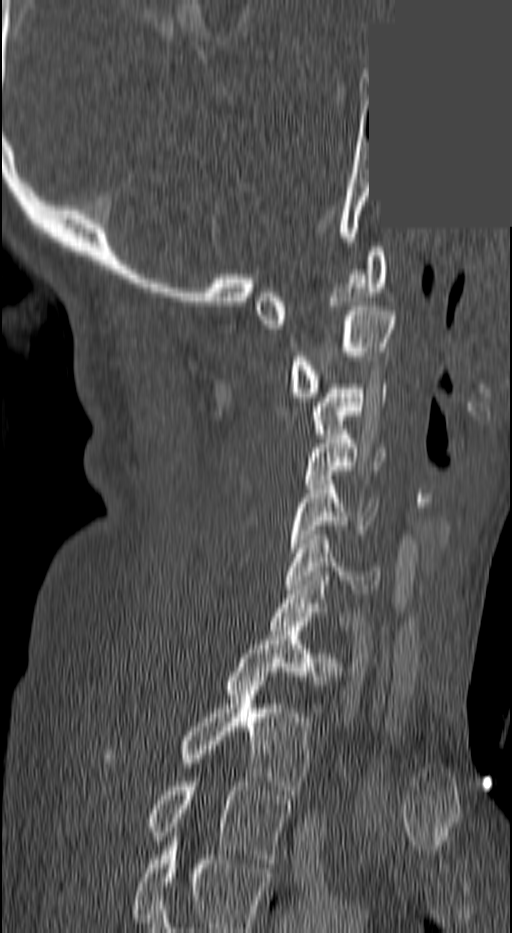 CT, spine — sagittal view — Bone window (WL 400, WW 1800) — a portion of the image is blanked out (constant pixel value)

Box edges are left/top/right/bottom in pixels.
Labels in this scan begin with C1 at the top and end with T3 at the bottom.
Vertebra bounding boxes:
- C1: left=254, top=247, right=388, bottom=328
- C2: left=290, top=306, right=395, bottom=397
- C3: left=314, top=384, right=388, bottom=438
- C4: left=303, top=434, right=386, bottom=484
- C5: left=287, top=480, right=376, bottom=552
- C6: left=287, top=535, right=379, bottom=598
- C7: left=272, top=576, right=349, bottom=630
- T1: left=228, top=631, right=337, bottom=694
- T2: left=184, top=681, right=310, bottom=794
- T3: left=148, top=777, right=289, bottom=863